Computed tomography of the spine. Sagittal slice 29/61. 195x629 px
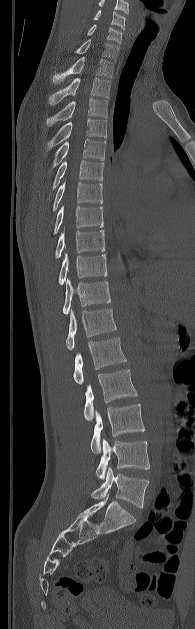
The highest labeled vertebra in this scan is C5; the lowest is L5.
<vertebrae><v name="C5" x1="93" y1="10" x2="125" y2="29"/><v name="C6" x1="87" y1="24" x2="122" y2="43"/><v name="C7" x1="75" y1="39" x2="119" y2="59"/><v name="T1" x1="54" y1="57" x2="113" y2="82"/><v name="T2" x1="49" y1="77" x2="110" y2="104"/><v name="T3" x1="46" y1="98" x2="107" y2="126"/><v name="T4" x1="47" y1="118" x2="106" y2="149"/><v name="T5" x1="52" y1="139" x2="105" y2="166"/><v name="T6" x1="51" y1="160" x2="103" y2="189"/><v name="T7" x1="53" y1="181" x2="102" y2="210"/><v name="T8" x1="54" y1="205" x2="103" y2="233"/><v name="T9" x1="55" y1="225" x2="106" y2="258"/><v name="T10" x1="59" y1="252" x2="107" y2="285"/><v name="T11" x1="63" y1="278" x2="110" y2="314"/><v name="T12" x1="66" y1="308" x2="116" y2="350"/><v name="L1" x1="73" y1="338" x2="126" y2="384"/><v name="L2" x1="84" y1="369" x2="137" y2="420"/><v name="L3" x1="90" y1="404" x2="144" y2="453"/><v name="L4" x1="96" y1="439" x2="149" y2="479"/><v name="L5" x1="91" y1="467" x2="148" y2="508"/></vertebrae>